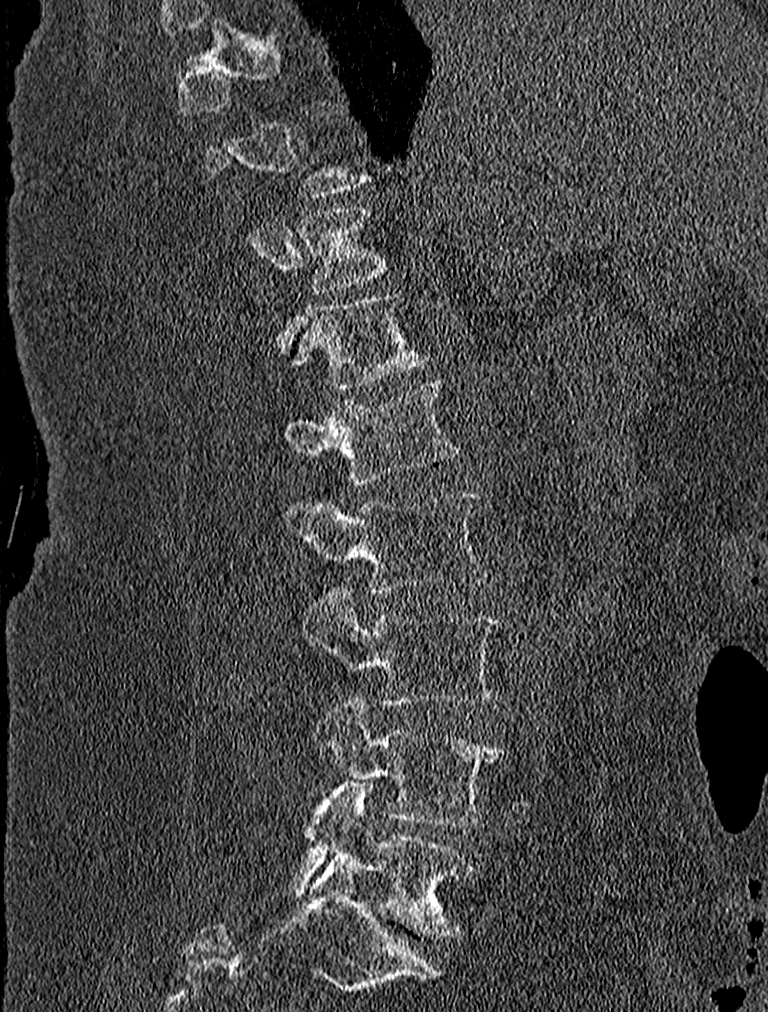
CT spine; sagittal view; 768x1012 px; image 227 mm wide. Box edges are left/top/right/bottom in pixels.
Each vertebra is boxed only on the slices from the first to the last where its cross-section reaches a third of its largest, so a slice outside that range leaves it unboxed.
T11: left=297, top=207, right=384, bottom=293
T12: left=295, top=294, right=424, bottom=389
L1: left=283, top=379, right=458, bottom=483
L2: left=286, top=490, right=488, bottom=593
L3: left=302, top=588, right=502, bottom=704
L4: left=313, top=702, right=503, bottom=826
L5: left=293, top=781, right=471, bottom=935